Computed tomography of the spine — sagittal reformat — 778x1351 px — the image is 350 mm wide — 18 vertebrae labeled in this scan
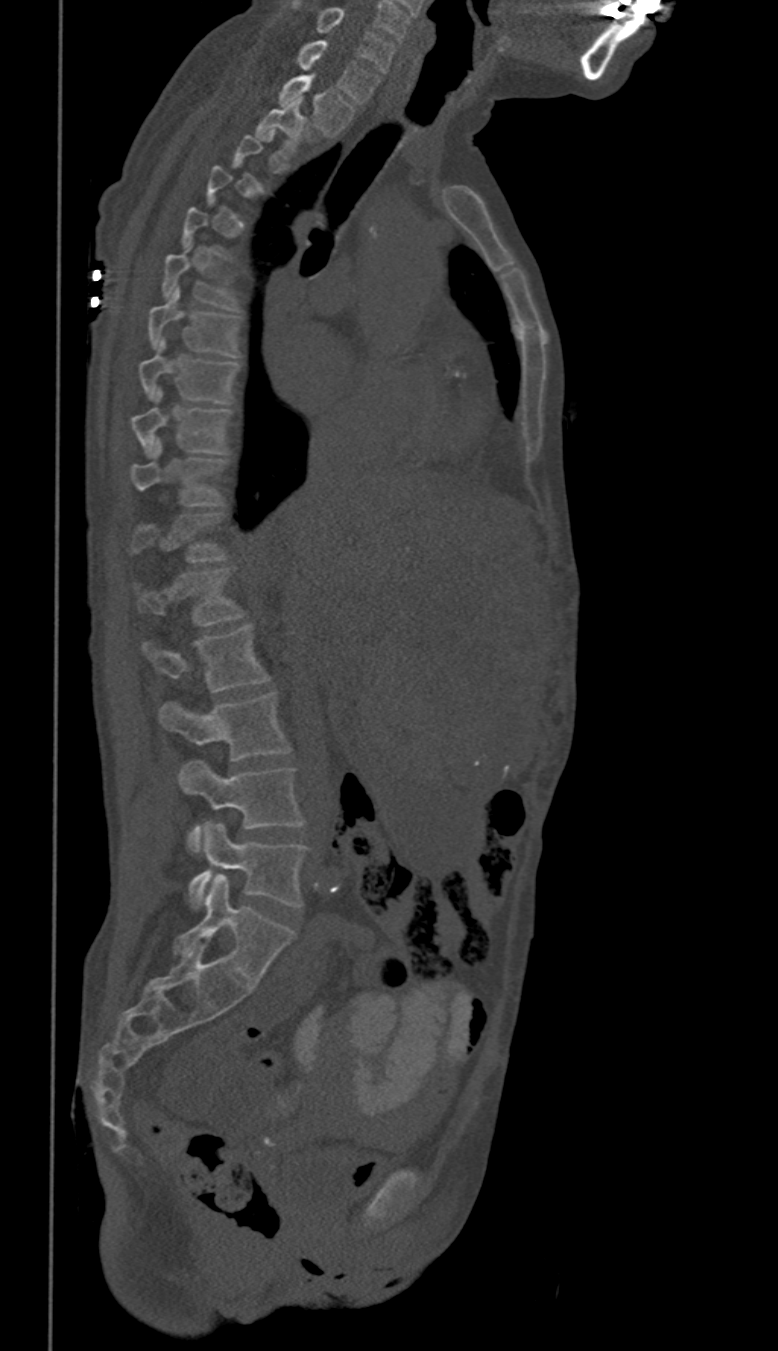
A vertebra is boxed only from the first to the last slice where its cross-section is at least a third of its largest; slices outside that range leave it without a box.
<vertebrae><v name="L5" x1="188" y1="823" x2="307" y2="908"/><v name="L4" x1="178" y1="760" x2="303" y2="851"/><v name="L3" x1="160" y1="692" x2="289" y2="759"/><v name="L2" x1="144" y1="625" x2="268" y2="693"/><v name="L1" x1="140" y1="569" x2="241" y2="626"/><v name="T10" x1="131" y1="440" x2="224" y2="506"/><v name="T9" x1="131" y1="389" x2="230" y2="455"/><v name="T8" x1="137" y1="340" x2="239" y2="404"/><v name="T7" x1="149" y1="287" x2="236" y2="355"/><v name="T6" x1="163" y1="254" x2="236" y2="308"/><v name="T2" x1="257" y1="100" x2="306" y2="151"/><v name="T1" x1="280" y1="74" x2="354" y2="135"/><v name="C7" x1="298" y1="40" x2="379" y2="102"/><v name="C6" x1="295" y1="3" x2="394" y2="71"/></vertebrae>